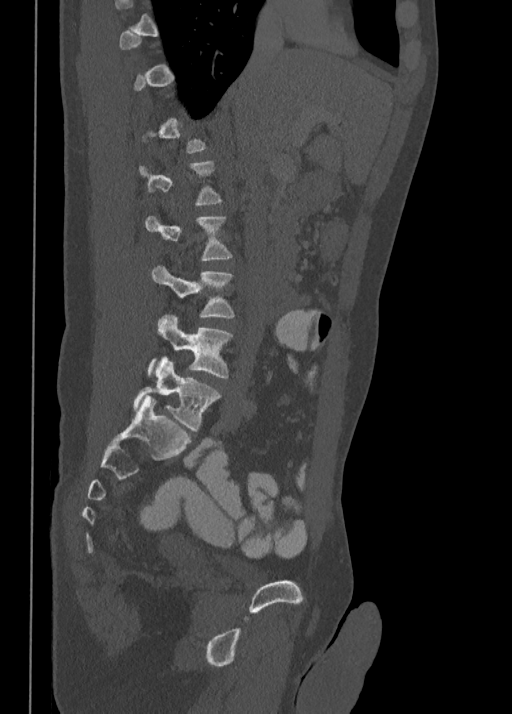

CT spine; sagittal view; 350 mm image width; 512x714 px
Each box is [x1, y1, x2, y2] in pixels: top-left corner, then bottom-right corner.
A vertebra is boxed only from the first to the last slice where its cross-section is at least a third of its largest; slices outside that range leave it without a box.
{"vertebrae":{"L3":[152,266,233,318],"L4":[146,315,231,378],"L5":[134,357,220,431]}}